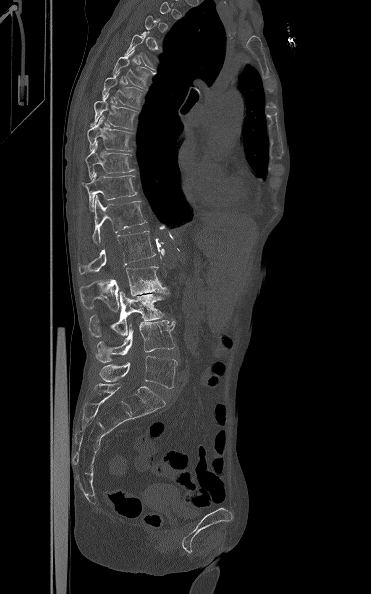

CT spine — sagittal view — the image spans 371 mm across
Each box given as x1,y1,x2,y2.
Not every vertebra on this slice has a box: a vertebra is boxed only from the first to the last slice where its cross-section is at least a third of its largest, and this slice is outside that range for at least one of them.
Vertebra bounding boxes:
- T5: x1=124, y1=34, x2=155, y2=70
- T6: x1=113, y1=50, x2=155, y2=90
- T7: x1=102, y1=72, x2=144, y2=109
- T8: x1=89, y1=92, x2=138, y2=129
- T9: x1=87, y1=116, x2=132, y2=151
- T10: x1=85, y1=142, x2=134, y2=179
- T11: x1=81, y1=172, x2=138, y2=211
- T12: x1=92, y1=195, x2=147, y2=244
- L1: x1=79, y1=230, x2=156, y2=274
- L2: x1=80, y1=266, x2=169, y2=311
- L3: x1=89, y1=291, x2=164, y2=337
- L4: x1=95, y1=320, x2=175, y2=363
- L5: x1=99, y1=356, x2=177, y2=388